CT, spine — sagittal reformat
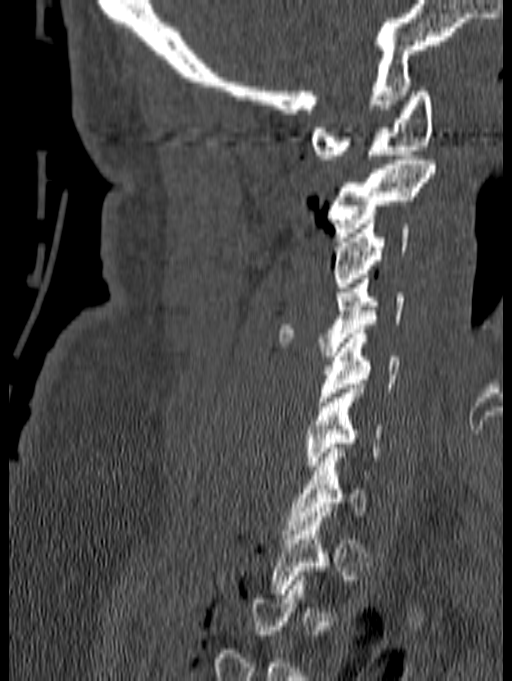
A vertebra gets a box only on the slices from the first to the last where its cross-section is at least a third of its largest; on a slice outside that range it gets none.
<vertebrae><v name="C1" x1="311" y1="87" x2="433" y2="159"/><v name="C2" x1="327" y1="155" x2="436" y2="237"/><v name="C3" x1="333" y1="219" x2="409" y2="287"/><v name="C4" x1="278" y1="274" x2="404" y2="356"/><v name="C5" x1="318" y1="329" x2="399" y2="401"/><v name="C6" x1="305" y1="384" x2="382" y2="470"/><v name="C7" x1="285" y1="443" x2="373" y2="534"/></vertebrae>